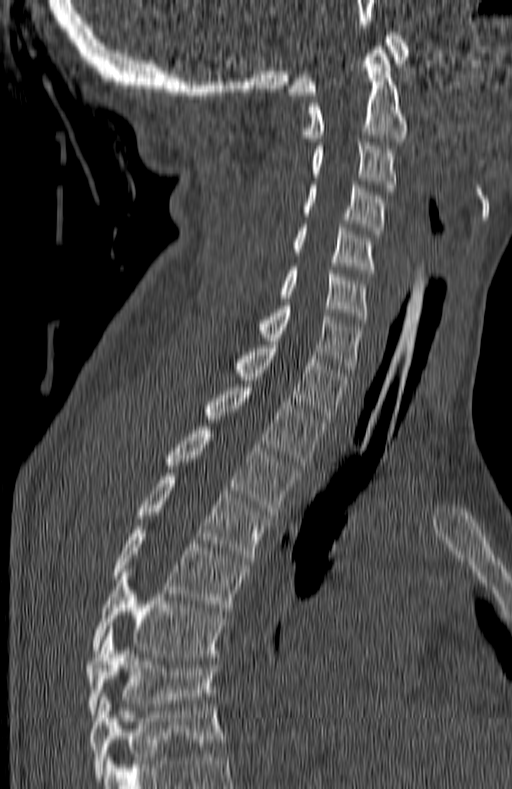

Spine CT; sagittal view
Each box is [x1, y1, x2, y2] in pixels: top-left corner, then bottom-right corner.
This scan's labels start at C1 at the top and end at T7 at the bottom.
{"vertebrae":{"C1":[288,32,408,95],"C2":[302,46,407,141],"C3":[311,142,395,191],"C4":[302,181,384,234],"C5":[294,224,375,273],"C6":[280,267,367,323],"C7":[260,302,361,376],"T1":[234,341,348,422],"T2":[206,384,324,468],"T3":[166,427,296,515],"T4":[137,473,270,561],"T5":[112,526,245,611],"T6":[92,569,225,657],"T7":[86,629,217,714]}}